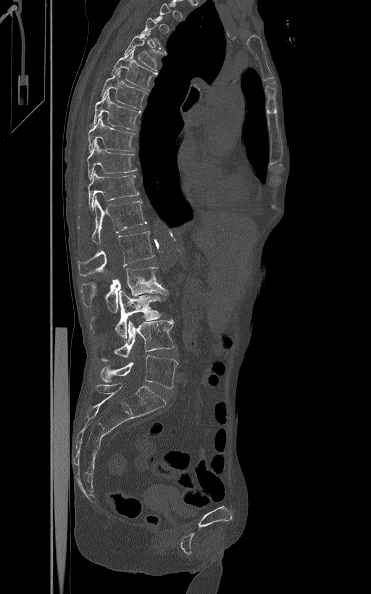 Spine computed tomography; sagittal view; W/L 1800/400 HU; 371x594 px

A vertebra gets a box only on the slices from the first to the last where its cross-section is at least a third of its largest; on a slice outside that range it gets none.
<vertebrae><v name="T5" x1="123" y1="33" x2="164" y2="71"/><v name="T6" x1="111" y1="50" x2="157" y2="91"/><v name="T7" x1="101" y1="71" x2="146" y2="108"/><v name="T8" x1="90" y1="93" x2="141" y2="131"/><v name="T9" x1="88" y1="116" x2="134" y2="151"/><v name="T10" x1="87" y1="142" x2="136" y2="180"/><v name="T11" x1="88" y1="172" x2="139" y2="210"/><v name="T12" x1="91" y1="196" x2="147" y2="243"/><v name="L1" x1="78" y1="231" x2="154" y2="276"/><v name="L2" x1="80" y1="267" x2="168" y2="311"/><v name="L3" x1="90" y1="290" x2="165" y2="338"/><v name="L4" x1="100" y1="319" x2="175" y2="361"/><v name="L5" x1="100" y1="355" x2="178" y2="388"/></vertebrae>